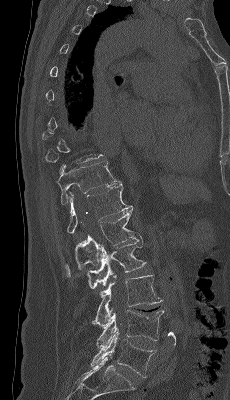

Spine CT — sagittal view — image 230 mm wide — Bone window (WL 400, WW 1800)
Bounding boxes as [x1, y1, x2, y2] in pixel coordinates. Not every vertebra on this slice has a box: a vertebra is boxed only from the first to the last slice where its cross-section is at least a third of its largest, and this slice is outside that range for at least one of them. The labeled vertebrae in this slice are: T11 at [57, 162, 122, 206], T12 at [67, 183, 132, 233], L1 at [65, 210, 136, 276], L2 at [87, 235, 146, 288], L3 at [92, 275, 162, 327], L4 at [96, 310, 164, 347], L5 at [91, 329, 156, 377].